CT spine · sagittal view · scan covers 12 annotated vertebrae · 140 mm image width
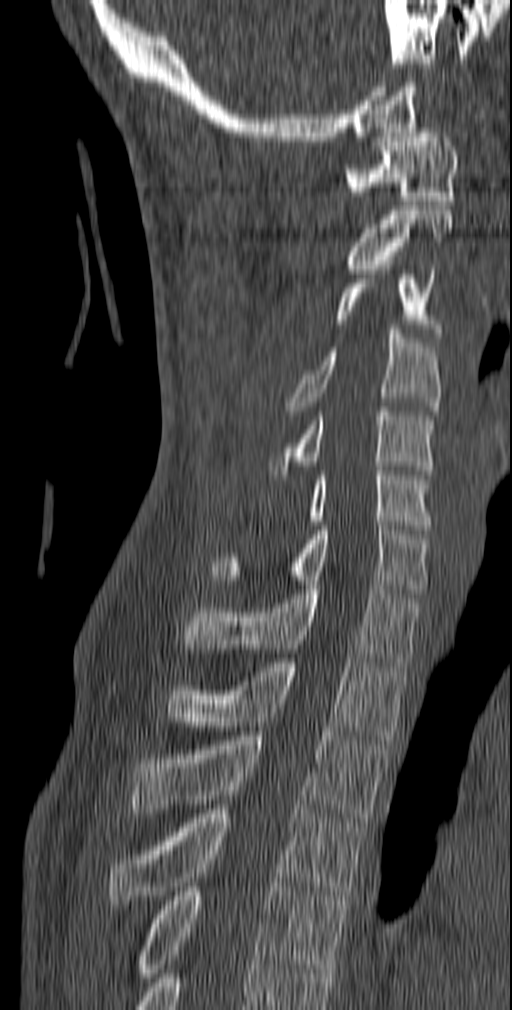
<vertebrae><v name="C1" x1="344" y1="128" x2="459" y2="205"/><v name="C2" x1="345" y1="210" x2="454" y2="273"/><v name="C3" x1="334" y1="270" x2="443" y2="342"/><v name="C4" x1="285" y1="325" x2="441" y2="415"/><v name="C5" x1="269" y1="407" x2="436" y2="474"/><v name="C6" x1="306" y1="466" x2="432" y2="529"/><v name="C7" x1="210" y1="521" x2="429" y2="593"/><v name="T1" x1="184" y1="585" x2="421" y2="666"/><v name="T2" x1="166" y1="658" x2="408" y2="740"/><v name="T3" x1="129" y1="731" x2="389" y2="822"/><v name="T4" x1="107" y1="809" x2="366" y2="904"/><v name="T5" x1="136" y1="887" x2="348" y2="982"/></vertebrae>